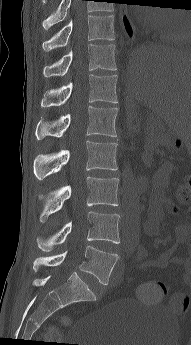
CT · sagittal view · W/L 1800/400 HU
Each box is [x1, y1, x2, y2] in pixels: top-left corner, then bottom-right corner.
In this scan, the topmost labeled vertebra is T10 and the lowest is L5.
{"vertebrae":{"T10":[42,15,114,51],"T11":[43,44,116,76],"T12":[41,74,118,107],"L1":[35,106,118,139],"L2":[33,141,117,180],"L3":[38,176,119,222],"L4":[36,211,119,251],"L5":[33,246,119,284]}}